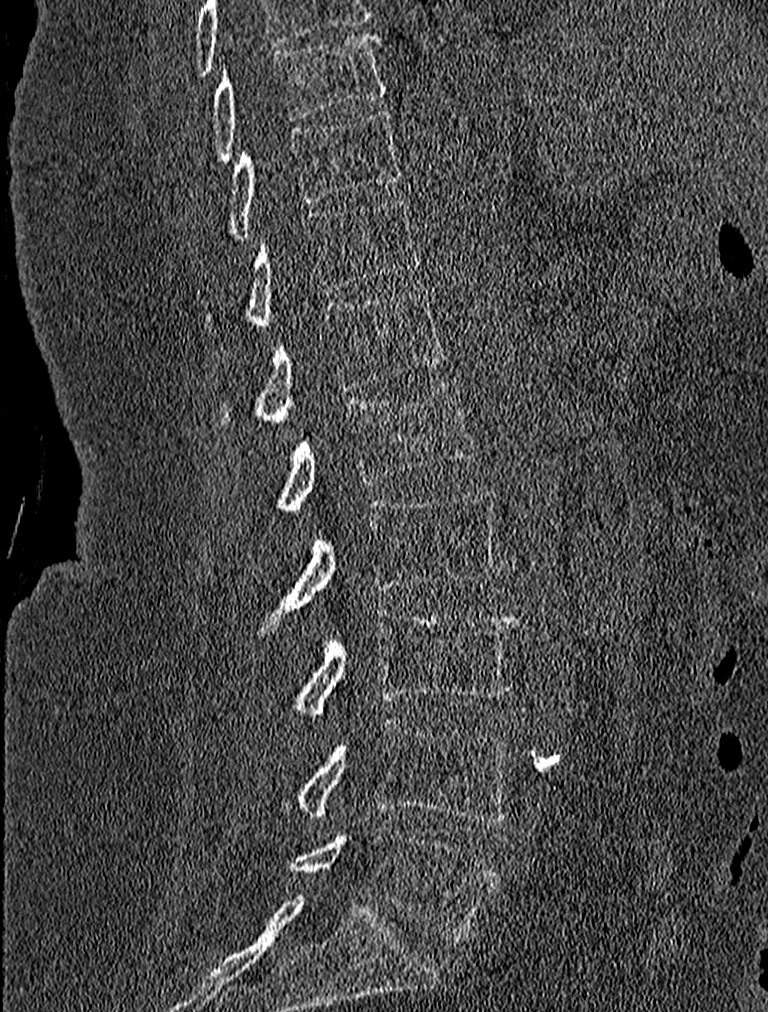 CT — sagittal view. Boxes: x1 y1 x2 y2 (pixel coords, space-separated). 9 vertebrae labeled — T9 at 209 33 387 162; T10 at 188 108 400 250; T11 at 202 196 421 331; T12 at 215 288 448 425; L1 at 276 379 478 512; L2 at 256 487 502 634; L3 at 286 607 519 718; L4 at 283 719 514 823; L5 at 286 827 499 941.